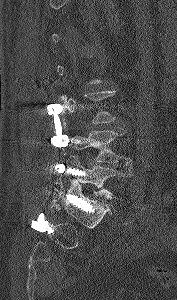 CT spine; sagittal view; Bone window (WL 400, WW 1800)
Box values are [left, top, right, bottom] in pixels.
Each vertebra is boxed only on the slices from the first to the last where its cross-section reaches a third of its largest, so a slice outside that range leaves it unboxed.
{"vertebrae":{"L4":[64,127,132,171],"L5":[63,155,130,198]}}